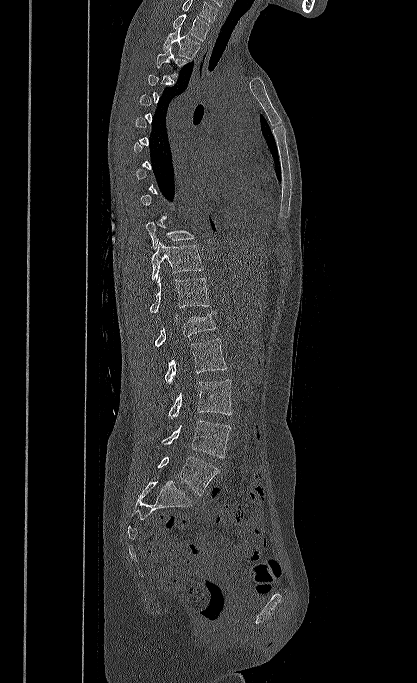
CT spine. sagittal view. 417x683 px
Box edges are left/top/right/bottom in pixels.
Not every vertebra on this slice has a box: a vertebra is boxed only from the first to the last slice where its cross-section is at least a third of its largest, and this slice is outside that range for at least one of them.
In this scan, the topmost labeled vertebra is T1 and the lowest is L5.
Vertebra bounding boxes:
- L5: left=157, top=456, right=219, bottom=495
- L4: left=162, top=420, right=230, bottom=457
- L3: left=168, top=380, right=232, bottom=418
- L2: left=164, top=338, right=227, bottom=384
- L1: left=154, top=311, right=216, bottom=346
- T12: left=149, top=276, right=209, bottom=313
- T11: left=151, top=241, right=204, bottom=280
- T10: left=145, top=221, right=194, bottom=249
- T3: left=156, top=46, right=186, bottom=76
- T2: left=163, top=26, right=200, bottom=59
- T1: left=173, top=14, right=209, bottom=41